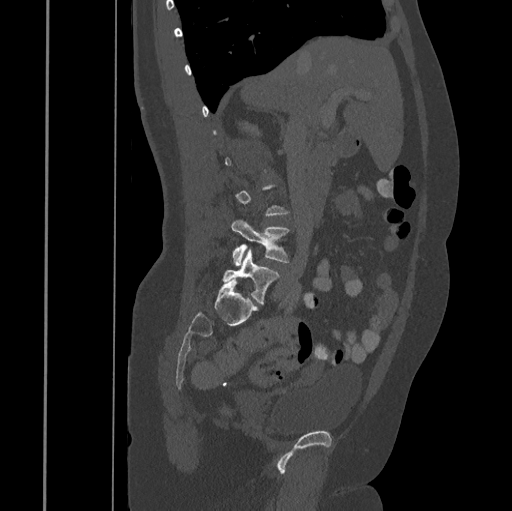 Spine computed tomography — sagittal view — 512x511 px

Box edges are left/top/right/bottom in pixels.
Each vertebra is boxed only on the slices from the first to the last where its cross-section reaches a third of its largest, so a slice outside that range leaves it unboxed.
| vertebra | x1 | y1 | x2 | y2 |
|---|---|---|---|---|
| L5 | 222 | 249 | 279 | 302 |
| L4 | 231 | 220 | 289 | 266 |